CT, spine. Sagittal slice 76/139. W/L 1800/400 HU. 8 vertebrae labeled in this scan. the image spans 322 mm across
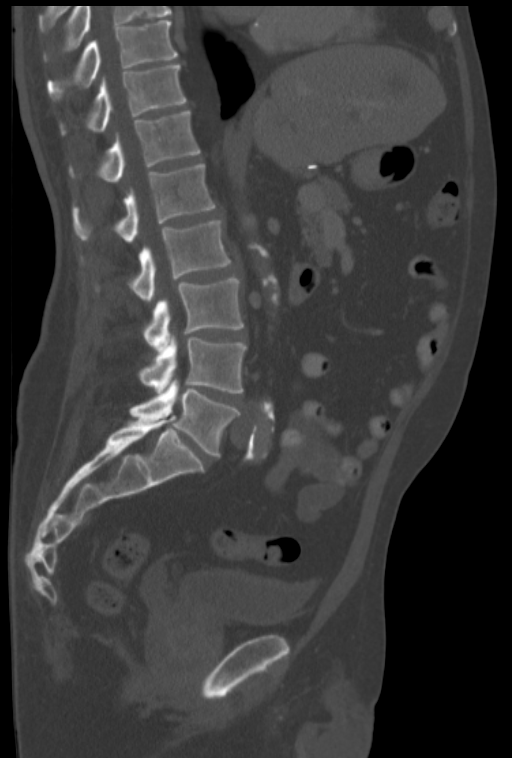 Bounding boxes as [x1, y1, x2, y2] in pixel coordinates. This scan's labels start at T10 at the top and end at L5 at the bottom. The labeled vertebrae in this slice are: T10 at [48, 19, 177, 99], T11 at [61, 64, 185, 134], T12 at [69, 110, 200, 182], L1 at [72, 164, 216, 242], L2 at [129, 220, 230, 301], L3 at [143, 278, 244, 352], L4 at [139, 336, 246, 393], L5 at [129, 379, 239, 457].